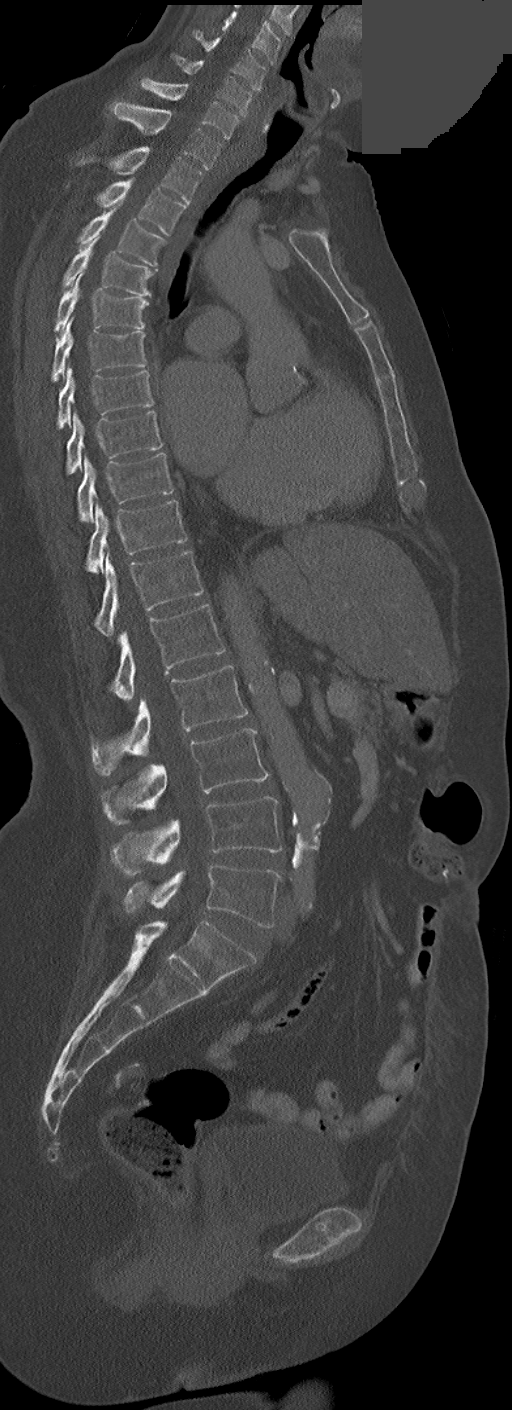
Spine CT. sagittal reformat. a region is masked with a constant gray value

These labels give this spine no T12: after T11 the next vertebra is L1.
<vertebrae><v name="C3" x1="222" y1="11" x2="282" y2="65"/><v name="C4" x1="196" y1="31" x2="266" y2="91"/><v name="C5" x1="175" y1="55" x2="251" y2="117"/><v name="C6" x1="141" y1="78" x2="237" y2="140"/><v name="C7" x1="110" y1="102" x2="221" y2="168"/><v name="T1" x1="80" y1="147" x2="203" y2="203"/><v name="T2" x1="96" y1="178" x2="186" y2="235"/><v name="T3" x1="78" y1="210" x2="164" y2="268"/><v name="T4" x1="63" y1="235" x2="152" y2="296"/><v name="T5" x1="53" y1="273" x2="148" y2="332"/><v name="T6" x1="51" y1="317" x2="146" y2="381"/><v name="T7" x1="57" y1="366" x2="154" y2="428"/><v name="T8" x1="66" y1="411" x2="162" y2="473"/><v name="T9" x1="78" y1="452" x2="172" y2="522"/><v name="T10" x1="86" y1="500" x2="186" y2="572"/><v name="T11" x1="94" y1="551" x2="203" y2="635"/><v name="L1" x1="112" y1="604" x2="225" y2="700"/><v name="L2" x1="92" y1="665" x2="247" y2="776"/><v name="L3" x1="102" y1="728" x2="268" y2="824"/><v name="L4" x1="112" y1="797" x2="282" y2="877"/><v name="L5" x1="124" y1="864" x2="280" y2="928"/></vertebrae>